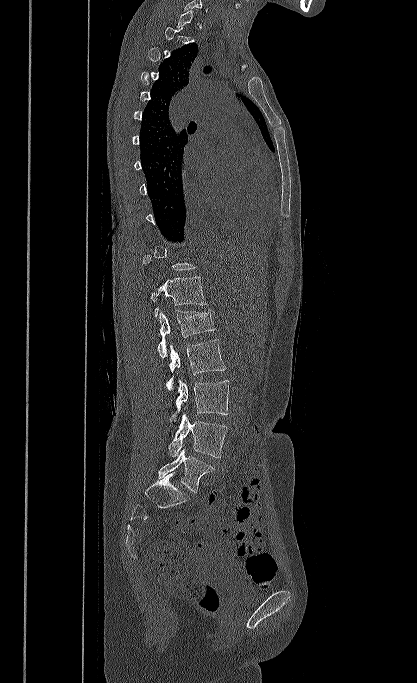
CT spine; sagittal view; 417x683 px
Coordinates as <box>x1,y1,x2,y2</box>. Each vertebra is boxed only on the slices from the first to the last where its cross-section reaches a third of its largest, so a slice outside that range leaves it unboxed. 6 vertebrae labeled — T12 at <box>151,277,206,317</box>; L1 at <box>158,309,216,357</box>; L2 at <box>167,339,226,390</box>; L3 at <box>169,380,229,422</box>; L4 at <box>168,413,227,458</box>; L5 at <box>158,449,214,492</box>.